CT. sagittal view. 714x983 px. scan covers 17 annotated vertebrae. the image is 500 mm wide
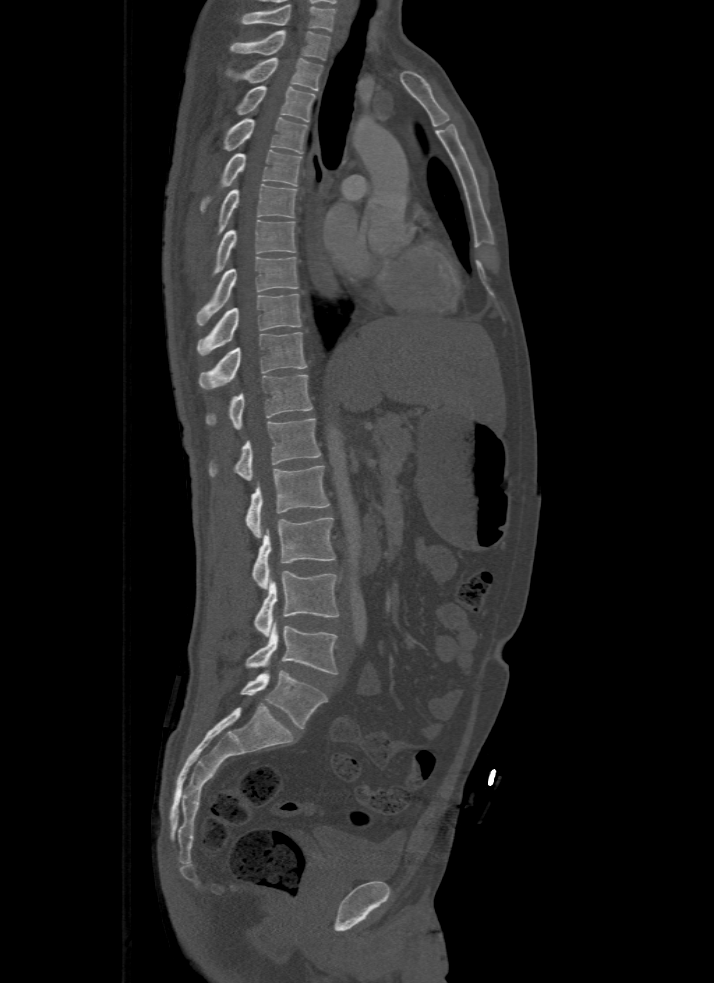

Each vertebra maps to its box as [x1, y1, x2, y2], the pixel coordinates of its top-left and bottom-right corners.
Labels in this scan begin with T1 at the top and end with L5 at the bottom.
{"vertebrae":{"L5":[240,670,328,728],"L4":[246,622,338,674],"L3":[254,570,339,637],"L2":[251,518,335,588],"L1":[246,465,330,537],"T12":[208,418,320,480],"T11":[205,375,311,428],"T10":[198,332,306,388],"T9":[197,293,300,355],"T8":[195,256,298,325],"T7":[213,220,295,275],"T6":[218,184,296,234],"T5":[201,150,302,209],"T4":[223,118,307,154],"T3":[236,86,314,121],"T2":[227,58,321,91],"T1":[230,30,331,59]}}